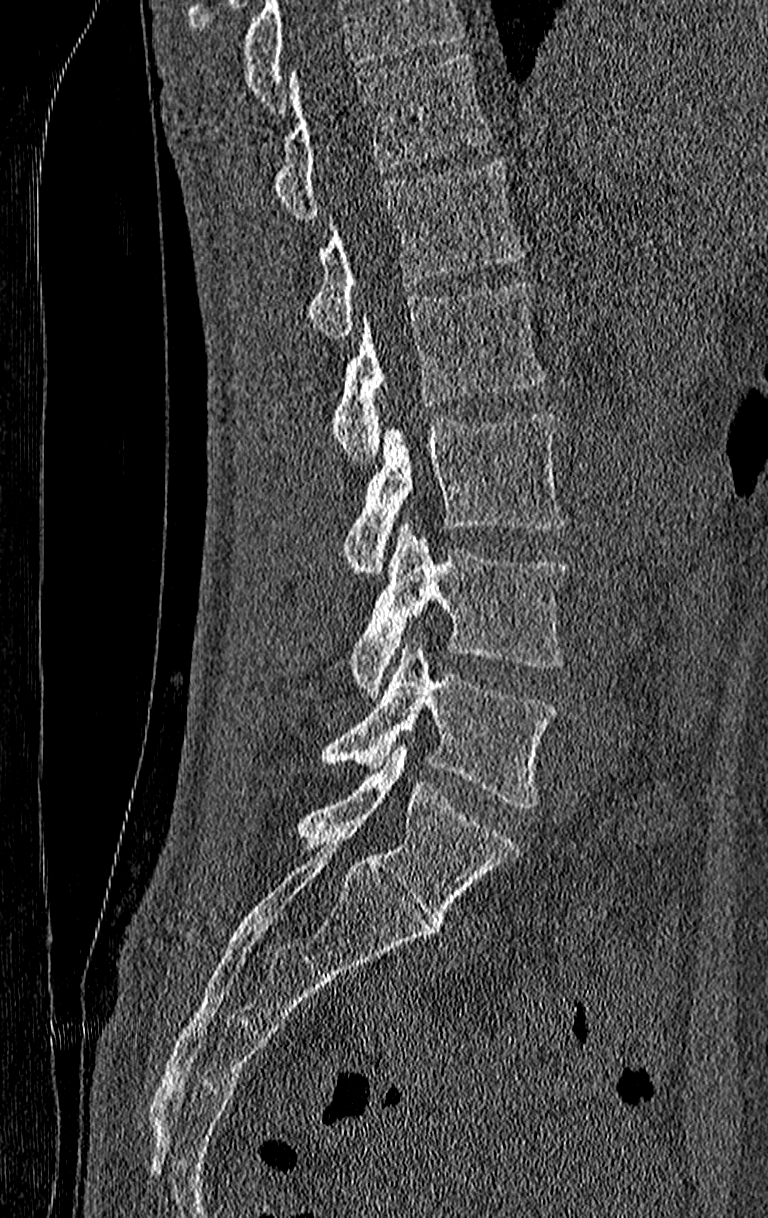 CT spine · 210 mm image width · sagittal view
Boxes: x1:y1:x2:y2 in pixels.
Where the top of the scan cuts through a vertebra, that vertebra gets no label or box.
Labels in this scan begin with T11 at the top and end with L4 at the bottom.
Vertebra bounding boxes:
- T11: 273:56:491:220
- T12: 310:161:524:340
- L1: 331:283:546:465
- L2: 342:415:565:573
- L3: 350:520:568:695
- L4: 320:640:557:809